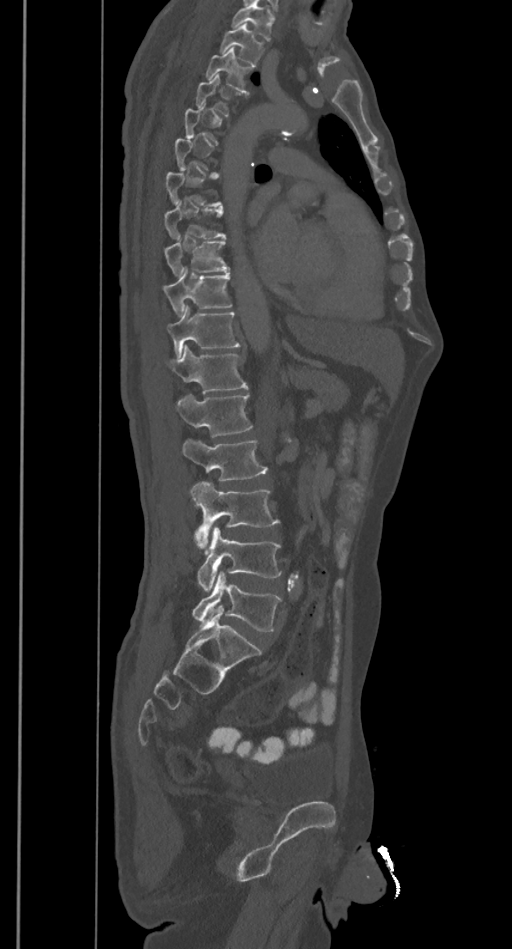
Spine computed tomography · sagittal view · bone window · 385 mm wide. Boxes: x1 y1 x2 y2 (pixel coords, space-separated).
Not every vertebra on this slice has a box: a vertebra is boxed only from the first to the last slice where its cross-section is at least a third of its largest, and this slice is outside that range for at least one of them.
Vertebrae that run past the top of the scan are left unlabeled.
Vertebra bounding boxes:
- T2: 219 24 262 65
- T3: 205 48 253 91
- T4: 195 75 238 115
- T8: 163 202 225 238
- T9: 163 241 229 277
- T10: 162 269 232 315
- T11: 167 305 240 357
- T12: 166 346 248 393
- L1: 174 395 253 436
- L2: 182 438 267 481
- L3: 190 482 278 552
- L4: 197 527 281 591
- L5: 193 571 282 632